Computed tomography of the spine. sagittal view. the image spans 446 mm across. 512x762 px
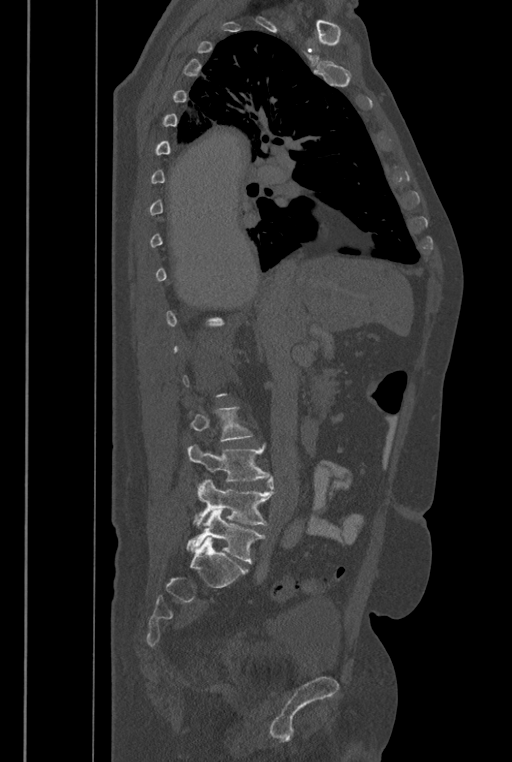 Each row gives a vertebra's box as x1, y1, x2, y2 in pixels: top-left corner, then bottom-right corner.
Each vertebra is boxed only on the slices from the first to the last where its cross-section reaches a third of its largest, so a slice outside that range leaves it unboxed.
The labels name a sixth lumbar vertebra for this spine: L6, after L5.
| vertebra | x1 | y1 | x2 | y2 |
|---|---|---|---|---|
| L3 | 190 | 407 | 253 | 441 |
| L4 | 187 | 444 | 270 | 481 |
| L5 | 193 | 476 | 274 | 526 |
| L6 | 186 | 508 | 265 | 563 |